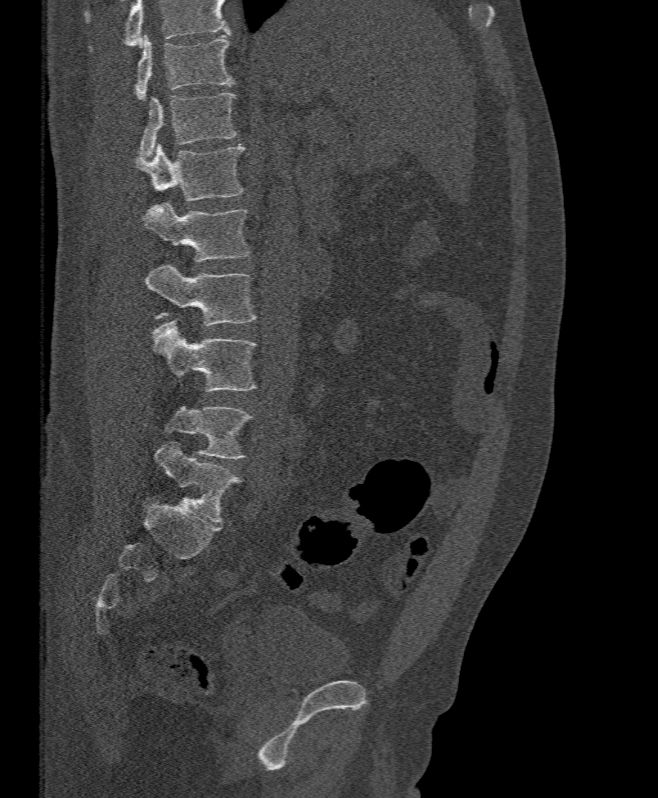
Spine computed tomography — 395 mm image width — sagittal view — W/L 1800/400 HU
Each box is [x1, y1, x2, y2] in pixels: top-left corner, then bottom-right corner.
Vertebrae that run past the top of the scan are left unlabeled.
{"vertebrae":{"L5":[165,407,251,459],"L4":[150,318,256,391],"L3":[145,265,255,326],"L2":[141,202,248,261],"L1":[135,143,243,201],"T12":[138,93,237,156],"T11":[135,35,232,101]}}